CT; Sagittal slice 317/512; 512x589 px
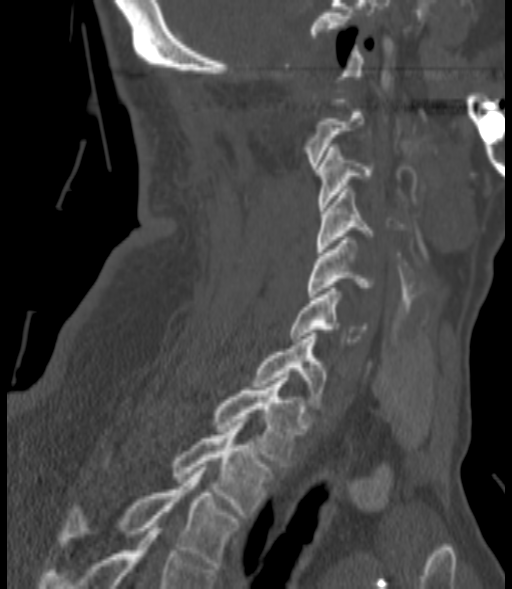 Boxes: x1 y1 x2 y2 (pixel coords, space-separated).
A vertebra is boxed only from the first to the last slice where its cross-section is at least a third of its largest; slices outside that range leave it without a box.
C3: 318 147 371 210
C4: 316 186 374 252
C5: 308 237 371 297
C6: 290 288 366 345
C7: 254 333 325 405
T1: 213 378 304 466
T2: 172 422 271 517
T3: 60 467 238 569